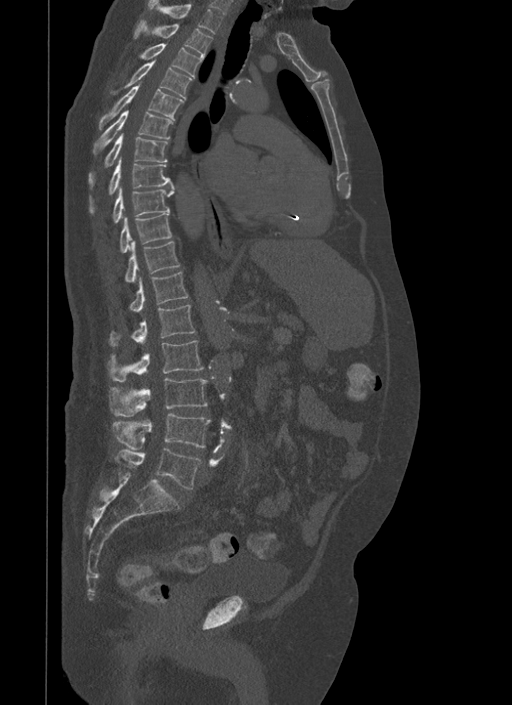

Computed tomography of the spine · sagittal view · bone window · 512x705 px
Columns x1, y1, x2, y2 give each box's top-left and bottom-right pixels.
| vertebra | x1 | y1 | x2 | y2 |
|---|---|---|---|---|
| L5 | 115 | 447 | 201 | 488 |
| L4 | 111 | 413 | 210 | 449 |
| L3 | 108 | 378 | 208 | 416 |
| L2 | 107 | 340 | 204 | 381 |
| L1 | 108 | 305 | 195 | 346 |
| T12 | 128 | 271 | 188 | 311 |
| T11 | 125 | 241 | 180 | 282 |
| T10 | 119 | 212 | 171 | 252 |
| T9 | 112 | 187 | 174 | 222 |
| T8 | 90 | 160 | 174 | 213 |
| T7 | 89 | 133 | 167 | 183 |
| T6 | 93 | 110 | 172 | 155 |
| T5 | 99 | 84 | 184 | 129 |
| T4 | 112 | 60 | 192 | 99 |
| T3 | 140 | 43 | 203 | 78 |
| T2 | 135 | 20 | 212 | 57 |
| T1 | 147 | 0 | 222 | 34 |